CT — 149 mm wide — sagittal reformat
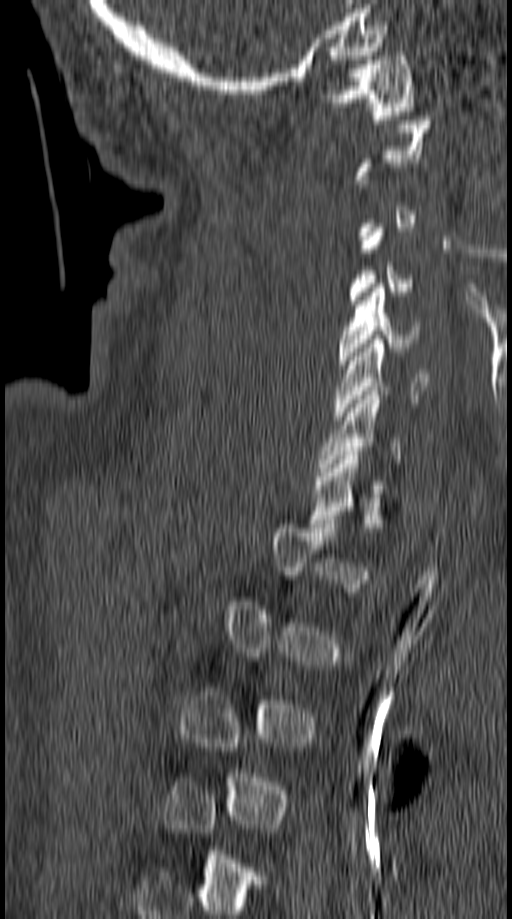
Boxes are (x1, y1, x2, y2) in pixels. Not every vertebra on this slice has a box: a vertebra is boxed only from the first to the last slice where its cross-section is at least a third of its largest, and this slice is outside that range for at least one of them. 5 vertebrae labeled — C1 at (324, 52, 414, 119); C5 at (338, 283, 421, 364); C6 at (333, 339, 430, 420); C7 at (319, 387, 402, 471); T1 at (309, 451, 403, 532).